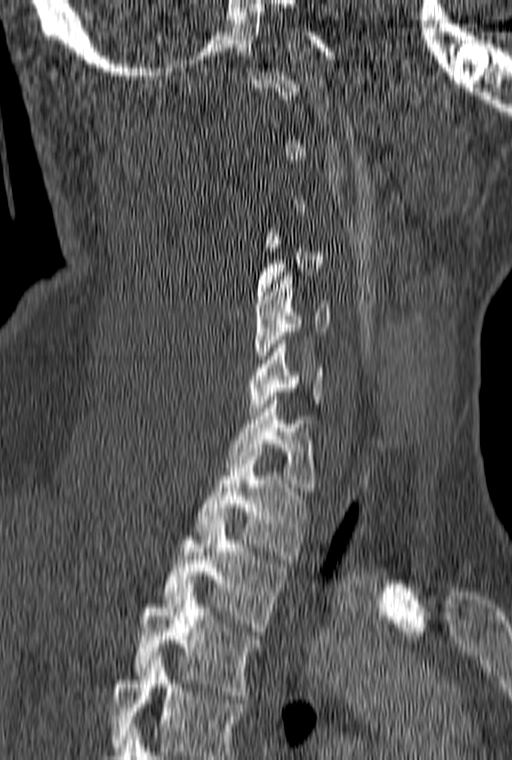
CT, spine · sagittal reformat · 512x760 px. Each box given as x1,y1,x2,y2.
A vertebra gets a box only on the slices from the first to the last where its cross-section is at least a third of its largest; on a slice outside that range it gets none.
In this scan, the topmost labeled vertebra is C1 and the lowest is T3.
T3: x1=136, y1=588, x2=259, y2=699
T2: x1=164, y1=520, x2=285, y2=631
T1: x1=193, y1=448, x2=308, y2=559
C7: x1=227, y1=396, x2=314, y2=495
C6: x1=248, y1=336, x2=323, y2=411
C5: x1=254, y1=272, x2=330, y2=367